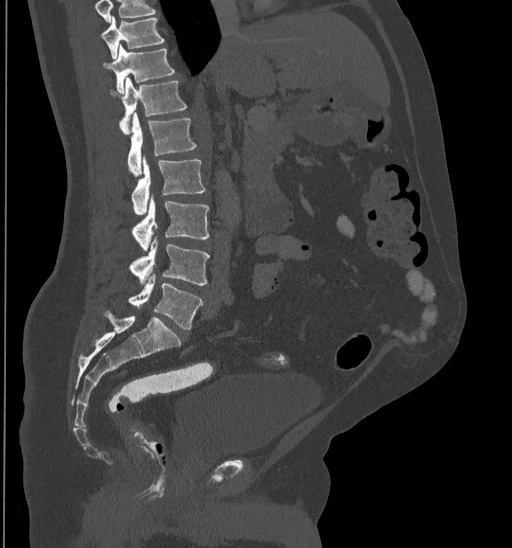
Computed tomography of the spine — sagittal view — 435 mm wide
Boxes are given in columns x1, y1, x2, y2, the pixel coordinates of their top-left and bottom-right corners.
Vertebrae that run past the top of the scan are left unlabeled.
| vertebra | x1 | y1 | x2 | y2 |
|---|---|---|---|---|
| T10 | 100 | 16 | 164 | 58 |
| T11 | 102 | 44 | 174 | 93 |
| T12 | 109 | 77 | 186 | 134 |
| L1 | 127 | 113 | 195 | 176 |
| L2 | 132 | 156 | 205 | 215 |
| L3 | 132 | 195 | 208 | 251 |
| L4 | 129 | 236 | 210 | 285 |
| L5 | 128 | 273 | 203 | 330 |